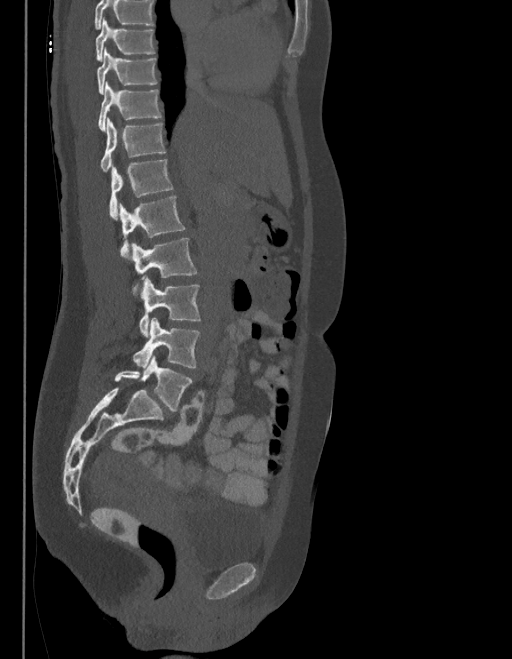 CT, spine. sagittal view. Bone window (WL 400, WW 1800)

Box edges are left/top/right/bottom in pixels.
A vertebra cut off by the top edge of the scan is not labeled and has no box.
In these labels the spine has an L6, a sixth lumbar vertebra below L5.
| vertebra | x1 | y1 | x2 | y2 |
|---|---|---|---|---|
| L6 | 114 | 356 | 192 | 412 |
| L5 | 133 | 318 | 200 | 368 |
| L4 | 138 | 277 | 201 | 336 |
| L3 | 132 | 238 | 197 | 294 |
| L2 | 119 | 197 | 184 | 257 |
| L1 | 109 | 159 | 173 | 219 |
| T12 | 100 | 119 | 165 | 172 |
| T11 | 98 | 82 | 160 | 130 |
| T10 | 96 | 49 | 156 | 94 |
| T9 | 95 | 19 | 155 | 61 |